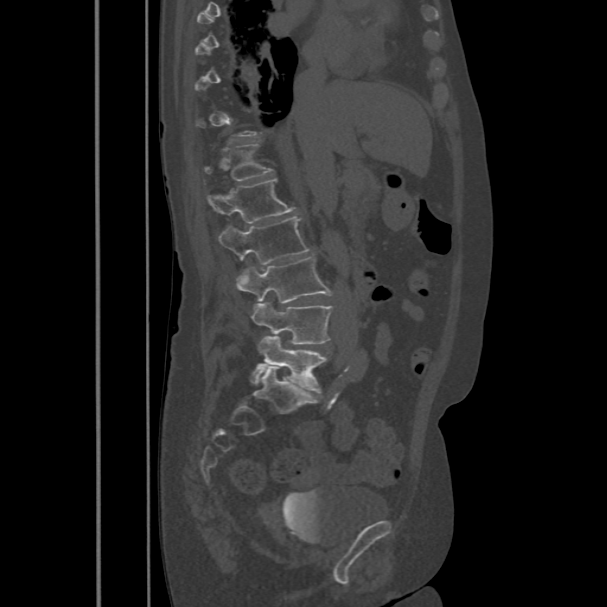 CT · sagittal reformat · bone window · 607x607 px

Each box given as x1,y1,x2,y2.
Not every vertebra on this slice has a box: a vertebra is boxed only from the first to the last slice where its cross-section is at least a third of its largest, and this slice is outside that range for at least one of them.
Vertebra bounding boxes:
- L5: x1=251, y1=336, x2=326, y2=392
- L4: x1=251, y1=302, x2=332, y2=344
- L3: x1=236, y1=256, x2=332, y2=304
- L2: x1=218, y1=216, x2=310, y2=264
- L1: x1=208, y1=178, x2=297, y2=222
- T12: x1=204, y1=143, x2=272, y2=180